Spine computed tomography. sagittal reformat
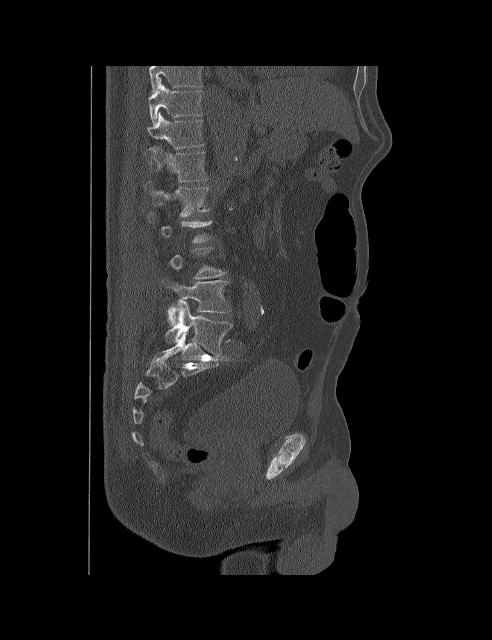 A vertebra is boxed only from the first to the last slice where its cross-section is at least a third of its largest; slices outside that range leave it without a box.
In this scan, the topmost labeled vertebra is T10 and the lowest is L5.
<vertebrae><v name="L5" x1="165" y1="299" x2="232" y2="356"/><v name="L4" x1="161" y1="278" x2="229" y2="327"/><v name="L1" x1="144" y1="180" x2="210" y2="217"/><v name="T12" x1="146" y1="146" x2="207" y2="182"/><v name="T11" x1="147" y1="112" x2="204" y2="148"/><v name="T10" x1="148" y1="84" x2="202" y2="125"/></vertebrae>